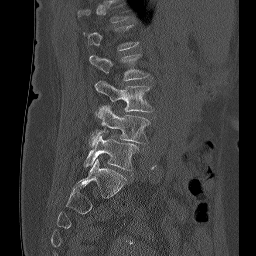

Computed tomography of the spine — sagittal view
A vertebra is boxed only from the first to the last slice where its cross-section is at least a third of its largest; slices outside that range leave it without a box.
<vertebrae><v name="L2" x1="89" y1="53" x2="150" y2="80"/><v name="L3" x1="95" y1="80" x2="153" y2="112"/><v name="L4" x1="90" y1="106" x2="150" y2="146"/><v name="L5" x1="84" y1="136" x2="138" y2="171"/></vertebrae>